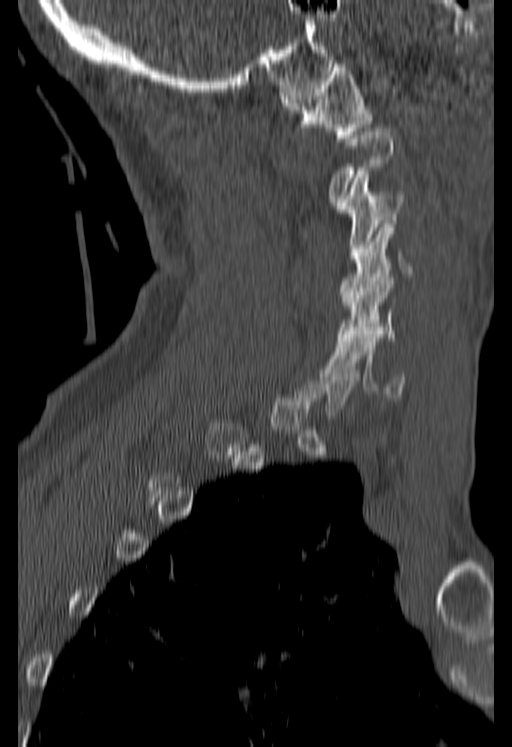
CT, spine · sagittal reformat · 512x747 px

Coordinates as <box>x1,y1,x2,y2</box>.
Not every vertebra on this slice has a box: a vertebra is boxed only from the first to the last slice where its cross-section is at least a third of its largest, and this slice is outside that range for at least one of them.
Vertebra bounding boxes:
- C6: <box>326,331,404,397</box>
- C5: <box>337,274,395,340</box>
- C4: <box>339,220,412,301</box>
- C3: <box>334,171,404,259</box>
- C1: <box>279,60,372,141</box>